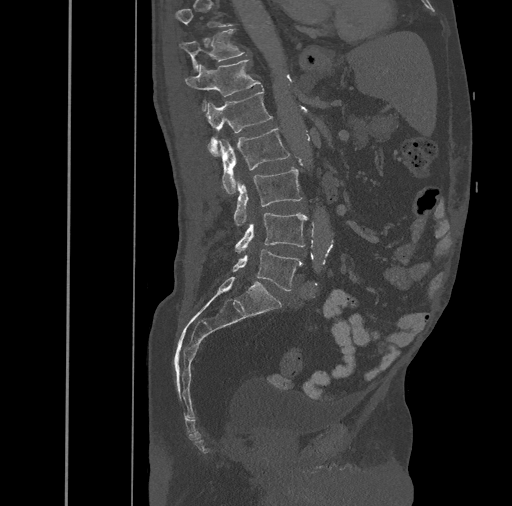

CT · the image spans 461 mm across · sagittal view
Boxes: x1 y1 x2 y2 (pixel coords, space-separated). A vertebra gets a box only on the slices from the first to the last where its cross-section is at least a third of its largest; on a slice outside that range it gets none. 7 vertebrae labeled — T11 at 179 29 244 71; T12 at 184 59 260 111; L1 at 205 89 272 156; L2 at 219 128 289 193; L3 at 234 167 302 225; L4 at 235 213 307 253; L5 at 232 249 302 291.